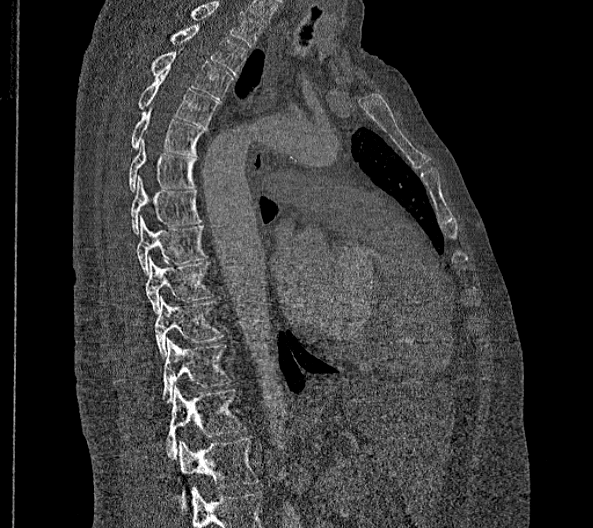 Spine CT · sagittal view · Bone window (WL 400, WW 1800) · 593x528 px · image 356 mm wide
Box edges are left/top/right/bottom in pixels.
In this scan, the topmost labeled vertebra is T2 and the lowest is L2.
These labels give this spine no T12: after T11 the next vertebra is L1.
| vertebra | x1 | y1 | x2 | y2 |
|---|---|---|---|---|
| T2 | 168 | 25 | 247 | 76 |
| T3 | 149 | 48 | 232 | 99 |
| T4 | 137 | 74 | 218 | 126 |
| T5 | 131 | 107 | 208 | 156 |
| T6 | 129 | 138 | 197 | 191 |
| T7 | 130 | 175 | 202 | 234 |
| T8 | 137 | 216 | 209 | 274 |
| T9 | 146 | 256 | 213 | 313 |
| T10 | 155 | 297 | 224 | 358 |
| T11 | 161 | 338 | 234 | 402 |
| L1 | 166 | 385 | 247 | 459 |
| L2 | 177 | 438 | 259 | 510 |